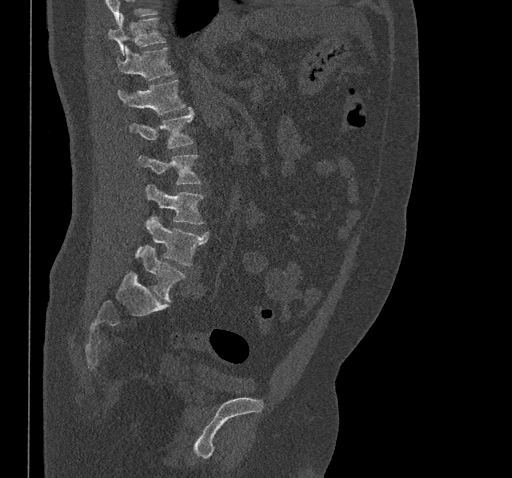 Computed tomography of the spine; image 461 mm wide; sagittal view; bone-window reconstruction
Box values are [left, top, right, bottom] in pixels.
Where the top of the scan cuts through a vertebra, that vertebra gets no label or box.
{"vertebrae":{"T10":[109,16,165,55],"T11":[117,47,174,80],"T12":[118,79,185,114],"L1":[130,108,194,148],"L2":[138,155,200,184],"L3":[146,185,204,224],"L4":[136,216,209,266],"L5":[141,245,185,301]}}